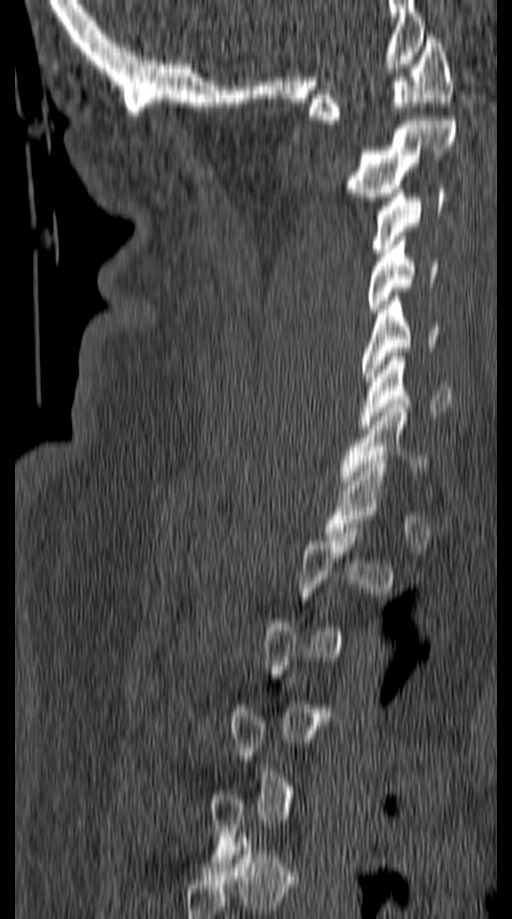

Spine CT. sagittal view. 512x919 px. In the table, x1 and y1 are a box's top-left corner and x2 and y2 its bottom-right corner, in pixels.
Each vertebra is boxed only on the slices from the first to the last where its cross-section reaches a third of its largest, so a slice outside that range leaves it unboxed.
| vertebra | x1 | y1 | x2 | y2 |
|---|---|---|---|---|
| C7 | 338 | 404 | 430 | 489 |
| C6 | 361 | 352 | 451 | 429 |
| C5 | 362 | 292 | 438 | 386 |
| C4 | 368 | 241 | 437 | 313 |
| C3 | 372 | 189 | 448 | 252 |
| C2 | 345 | 116 | 457 | 201 |
| C1 | 309 | 34 | 452 | 124 |